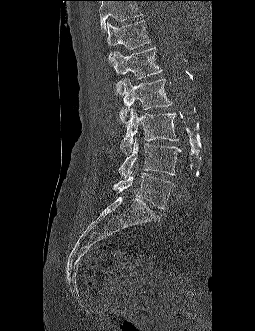

CT · sagittal view · the image is 255 mm wide · 255x331 px. Boxes are given in columns x1, y1, x2, y2, the pixel coordinates of their top-left and bottom-right corners.
Vertebrae that run past the top of the scan are left unlabeled.
| vertebra | x1 | y1 | x2 | y2 |
|---|---|---|---|---|
| L5 | 113 | 164 | 173 | 209 |
| L4 | 118 | 138 | 180 | 178 |
| L3 | 120 | 107 | 178 | 153 |
| L2 | 119 | 78 | 172 | 124 |
| L1 | 113 | 46 | 162 | 94 |
| T12 | 106 | 20 | 151 | 60 |